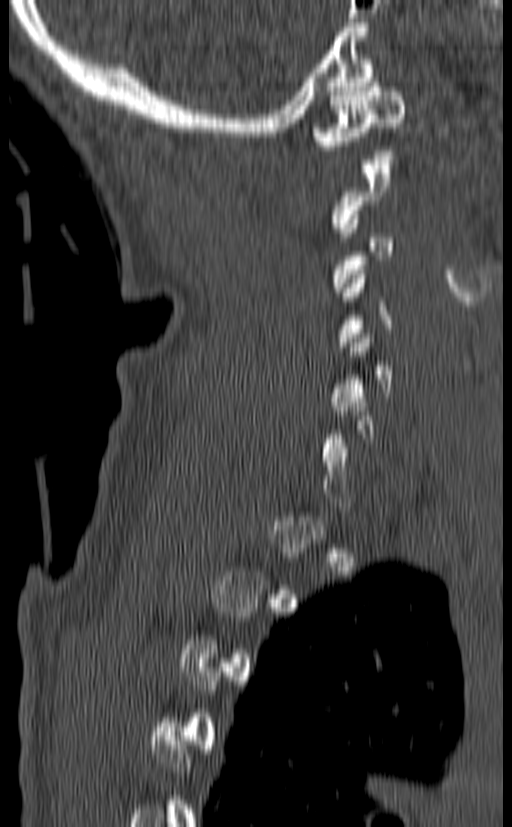
CT spine; sagittal reformat; bone window
Each box is [x1, y1, x2, y2] in pixels: top-left corner, then bottom-right corner.
A vertebra is boxed only from the first to the last slice where its cross-section is at least a third of its largest; slices outside that range leave it without a box.
{"vertebrae":{"C1":[310,78,406,159],"C5":[330,334,392,415]}}